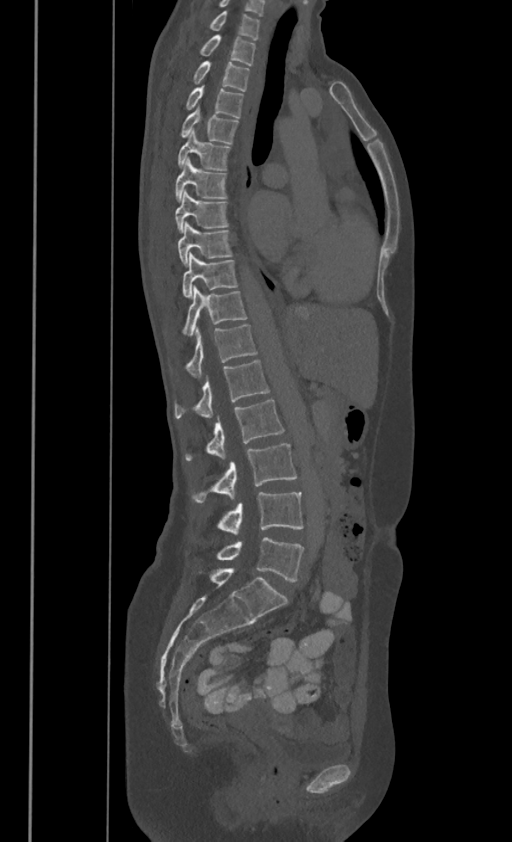

Spine computed tomography. sagittal view. bone-window reconstruction
Boxes are (x1, y1, x2, y2) in pixels.
In these labels the spine has no T12: the thoracic vertebrae end at T11, and L1 comes next.
Vertebra bounding boxes:
- C7: (209, 11, 259, 38)
- T1: (200, 35, 255, 63)
- T2: (193, 60, 248, 90)
- T3: (186, 86, 243, 117)
- T4: (180, 106, 238, 142)
- T5: (178, 130, 230, 169)
- T6: (175, 158, 227, 201)
- T7: (175, 190, 228, 231)
- T8: (178, 221, 232, 264)
- T9: (182, 252, 238, 296)
- T10: (182, 285, 246, 334)
- T11: (186, 324, 256, 376)
- L1: (175, 359, 268, 418)
- L2: (186, 399, 284, 460)
- L3: (192, 444, 296, 503)
- L4: (217, 493, 303, 534)
- L5: (217, 538, 303, 582)